Computed tomography of the spine. sagittal reformat. W/L 1800/400 HU
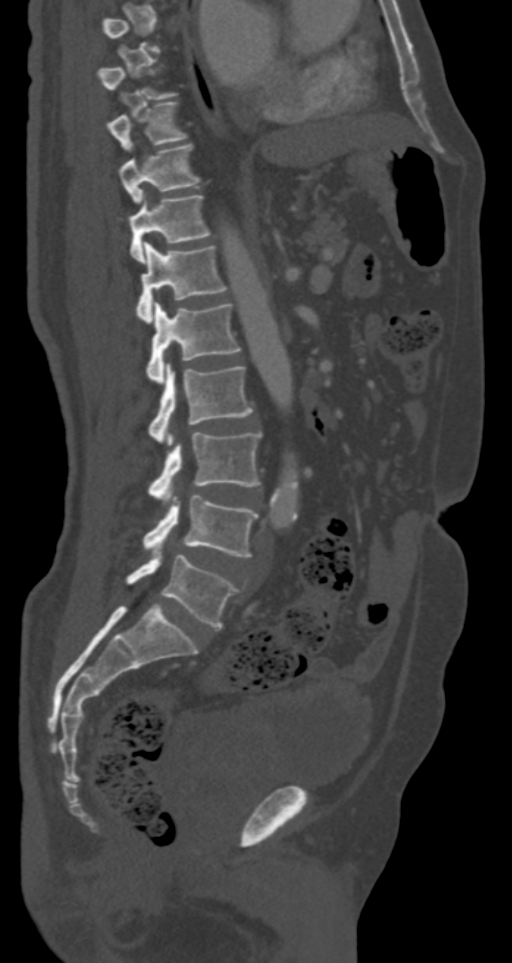
Bounding boxes as [x1, y1, x2, y2] in pixel coordinates.
A vertebra gets a box only on the slices from the first to the last where its cross-section is at least a third of its largest; on a slice outside that range it gets none.
Vertebra bounding boxes:
- T9: [107, 101, 188, 150]
- T10: [119, 144, 200, 203]
- T11: [130, 192, 211, 261]
- T12: [137, 242, 227, 321]
- L1: [146, 301, 241, 382]
- L2: [148, 363, 252, 445]
- L3: [148, 431, 261, 500]
- L4: [142, 496, 257, 557]
- L5: [126, 554, 239, 628]